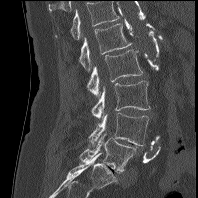 Spine CT. sagittal view. bone-window reconstruction. 198x198 px
Columns x1, y1, x2, y2 give each box's top-left and bottom-right pixels.
In this scan, the topmost labeled vertebra is L1 and the lowest is L5.
| vertebra | x1 | y1 | x2 | y2 |
|---|---|---|---|---|
| L5 | 80 | 134 | 136 | 172 |
| L4 | 89 | 113 | 148 | 145 |
| L3 | 91 | 81 | 150 | 118 |
| L2 | 86 | 50 | 143 | 97 |
| L1 | 79 | 23 | 131 | 72 |